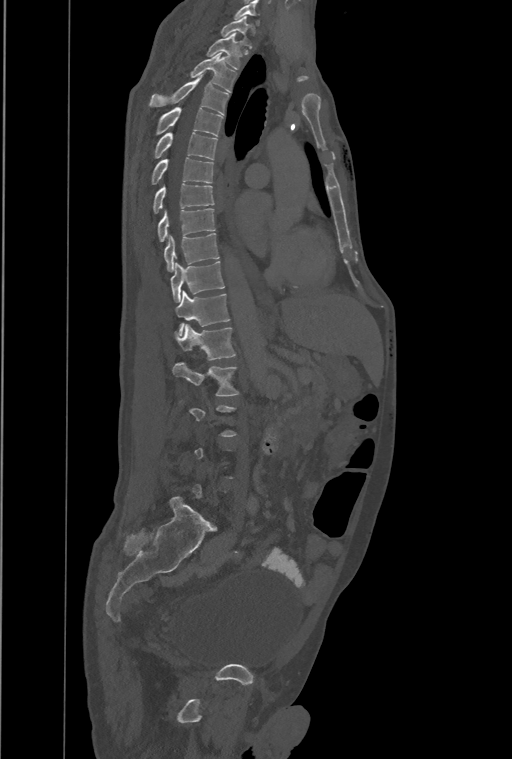
Spine CT — sagittal view — image width 461 mm
Boxes below are [x1, y1, x2, y2] in pixels.
A vertebra is boxed only from the first to the last slice where its cross-section is at least a third of its largest; slices outside that range leave it without a box.
The highest labeled vertebra in this scan is T1; the lowest is L4.
These labels give the spine a thirteenth thoracic vertebra: T13 sits between T12 and L1.
{"vertebrae":{"T1":[222,16,251,47],"T2":[206,32,241,69],"T3":[191,54,236,91],"T4":[150,75,228,114],"T5":[156,107,223,136],"T6":[154,132,217,159],"T7":[152,157,213,184],"T8":[153,184,214,214],"T9":[157,208,215,241],"T10":[164,234,218,271],"T11":[171,261,224,303],"T12":[175,290,229,334],"T13":[175,325,235,360],"L1":[173,362,238,396]}}